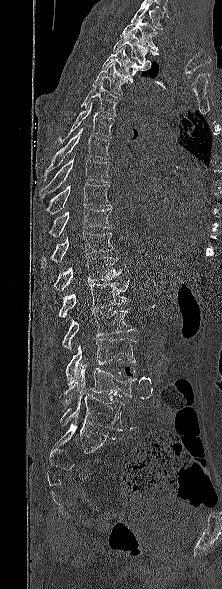 Spine computed tomography. sagittal view. W/L 1800/400 HU. 222x589 px
Bounding boxes as [x1, y1, x2, y2] in pixel coordinates.
In this scan, the topmost labeled vertebra is T1 and the lowest is L5.
T1: [119, 16, 159, 51]
T2: [113, 31, 158, 69]
T3: [102, 46, 146, 82]
T4: [92, 62, 127, 95]
T5: [80, 80, 121, 116]
T6: [55, 102, 115, 144]
T7: [44, 127, 110, 179]
T8: [41, 156, 110, 196]
T9: [45, 182, 111, 214]
T10: [49, 207, 111, 236]
T11: [41, 230, 117, 265]
T12: [42, 257, 122, 293]
L1: [58, 279, 130, 317]
L2: [62, 308, 136, 350]
L3: [66, 338, 136, 385]
L4: [63, 365, 137, 406]
L5: [60, 394, 124, 431]